Spine CT · sagittal view · 512x1357 px · image 291 mm wide · a uniform gray block covers part of the image
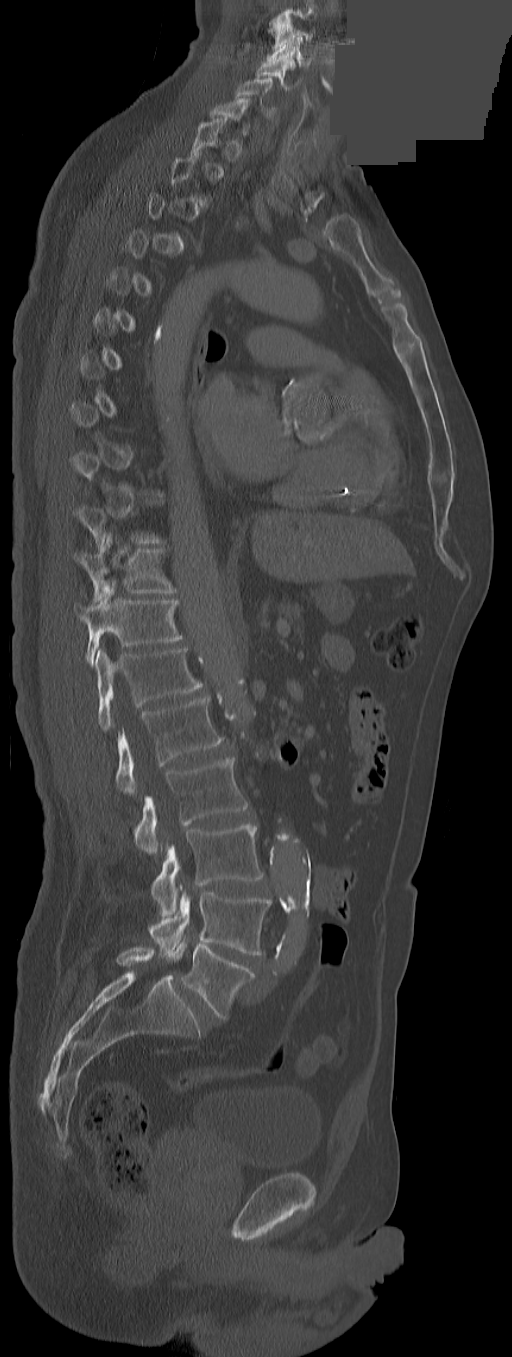 Each vertebra is boxed only on the slices from the first to the last where its cross-section reaches a third of its largest, so a slice outside that range leaves it unboxed.
In this scan, the topmost labeled vertebra is C3 and the lowest is L5.
The labels name an extra thoracic vertebra here, T13, which comes after T12 and before L1.
<vertebrae><v name="L5" x1="167" y1="940" x2="255" y2="1018"/><v name="L4" x1="148" y1="891" x2="270" y2="955"/><v name="L3" x1="152" y1="824" x2="263" y2="916"/><v name="L2" x1="134" y1="757" x2="247" y2="855"/><v name="L1" x1="115" y1="696" x2="223" y2="793"/><v name="T13" x1="95" y1="648" x2="203" y2="730"/><v name="T12" x1="74" y1="579" x2="182" y2="665"/><v name="T11" x1="74" y1="534" x2="177" y2="601"/><v name="T1" x1="191" y1="116" x2="227" y2="153"/><v name="C6" x1="235" y1="78" x2="275" y2="117"/><v name="C5" x1="256" y1="58" x2="296" y2="91"/><v name="C4" x1="268" y1="36" x2="310" y2="67"/><v name="C3" x1="275" y1="18" x2="313" y2="50"/></vertebrae>